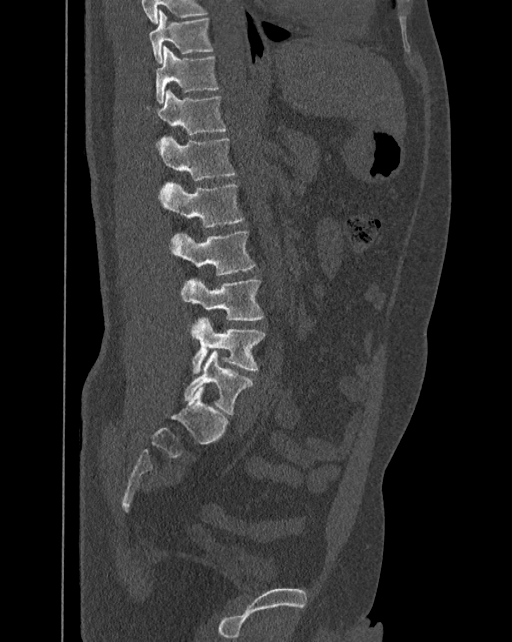 CT · sagittal reformat · W/L 1800/400 HU · 512x642 px. Boxes: x1:y1:x2:y2 in pixels.
These labels give the spine a sixth lumbar vertebra, L6, below L5.
T10: 149:9:213:62
T11: 156:46:218:102
T12: 146:89:226:138
L1: 159:136:235:180
L2: 159:182:244:227
L3: 170:230:255:275
L4: 180:279:263:320
L5: 189:316:265:373
L6: 184:350:252:414